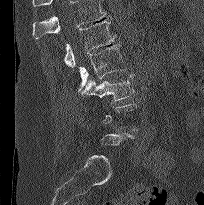
CT, spine — sagittal reformat — 204x205 px. Bounding boxes as [x1, y1, x2, y2] in pixel coordinates.
Not every vertebra on this slice has a box: a vertebra is boxed only from the first to the last slice where its cross-section is at least a third of its largest, and this slice is outside that range for at least one of them.
A vertebra cut off by the top edge of the scan is not labeled and has no box.
L1: [42, 19, 115, 67]
L2: [77, 44, 126, 92]
L3: [82, 73, 134, 102]